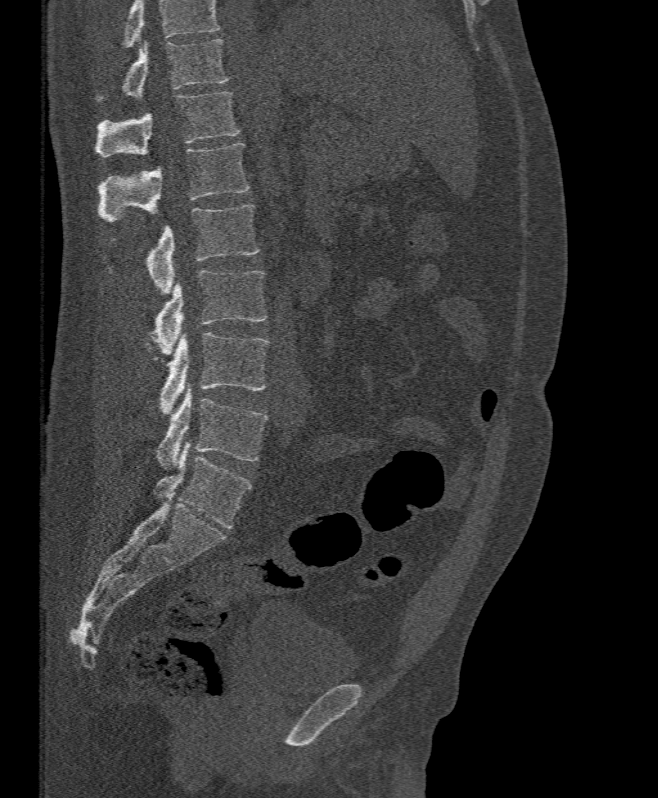
Spine computed tomography · sagittal view · bone-window reconstruction · image 395 mm wide
Each box is [x1, y1, x2, y2] in pixels: top-left corner, then bottom-right corner.
A vertebra cut off by the top edge of the scan is not labeled and has no box.
{"vertebrae":{"T11":[96,38,229,101],"T12":[95,92,241,157],"L1":[98,143,248,222],"L2":[108,205,259,294],"L3":[150,270,268,354],"L4":[145,333,269,414],"L5":[157,385,268,469]}}